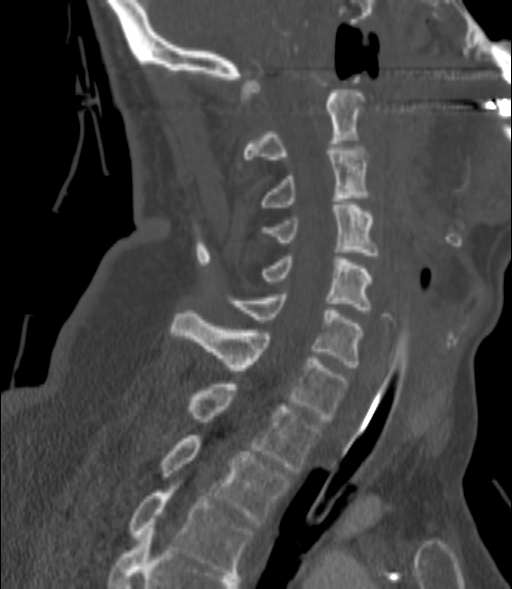 CT spine; sagittal reformat; Bone window (WL 400, WW 1800)
Columns x1, y1, x2, y2 give each box's top-left and bottom-right pixels.
| vertebra | x1 | y1 | x2 | y2 |
|---|---|---|---|---|
| C2 | 244 | 90 | 363 | 159 |
| C3 | 257 | 147 | 369 | 210 |
| C4 | 262 | 202 | 379 | 258 |
| C5 | 262 | 256 | 371 | 313 |
| C6 | 229 | 294 | 363 | 367 |
| C7 | 172 | 310 | 348 | 421 |
| T1 | 190 | 384 | 320 | 473 |
| T2 | 162 | 435 | 289 | 524 |
| T3 | 129 | 483 | 251 | 575 |